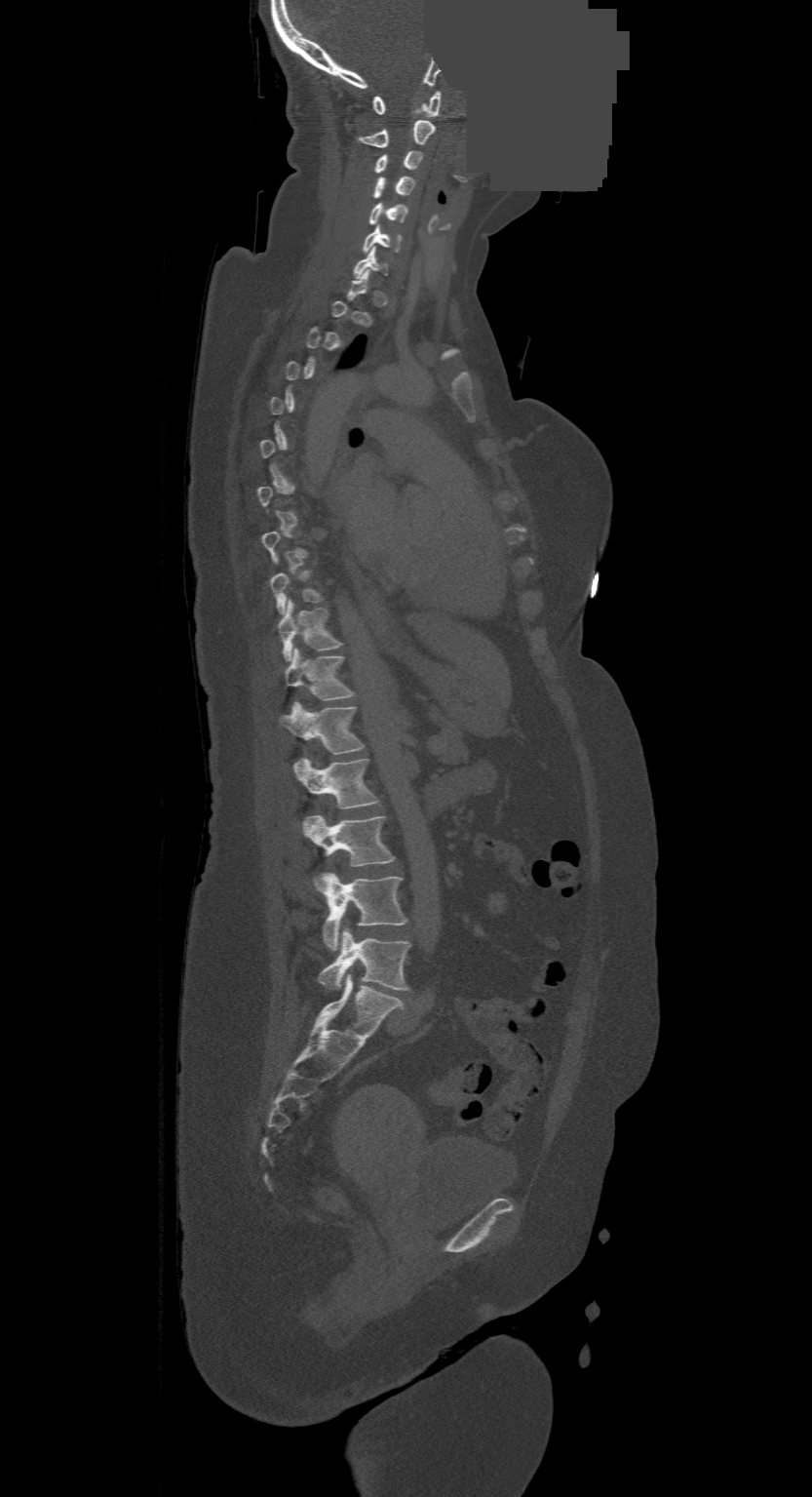 Computed tomography of the spine — sagittal reformat — a portion of the image is blanked out (constant pixel value)
Box edges are left/top/right/bottom in pixels.
A vertebra gets a box only on the slices from the first to the last where its cross-section is at least a third of its largest; on a slice outside that range it gets none.
The highest labeled vertebra in this scan is C1; the lowest is L4.
| vertebra | x1 | y1 | x2 | y2 |
|---|---|---|---|---|
| L4 | 319 | 926 | 410 | 989 |
| L3 | 319 | 873 | 406 | 950 |
| L2 | 303 | 814 | 394 | 866 |
| L1 | 291 | 758 | 378 | 808 |
| T12 | 281 | 702 | 363 | 754 |
| T11 | 284 | 649 | 353 | 700 |
| T10 | 278 | 600 | 342 | 661 |
| C7 | 354 | 248 | 388 | 276 |
| C6 | 362 | 224 | 402 | 252 |
| C5 | 368 | 202 | 408 | 225 |
| C4 | 374 | 176 | 414 | 198 |
| C3 | 374 | 151 | 421 | 172 |
| C2 | 357 | 121 | 434 | 147 |
| C1 | 371 | 92 | 442 | 116 |